CT, spine — Sagittal slice 389/768 — scan covers 9 annotated vertebrae
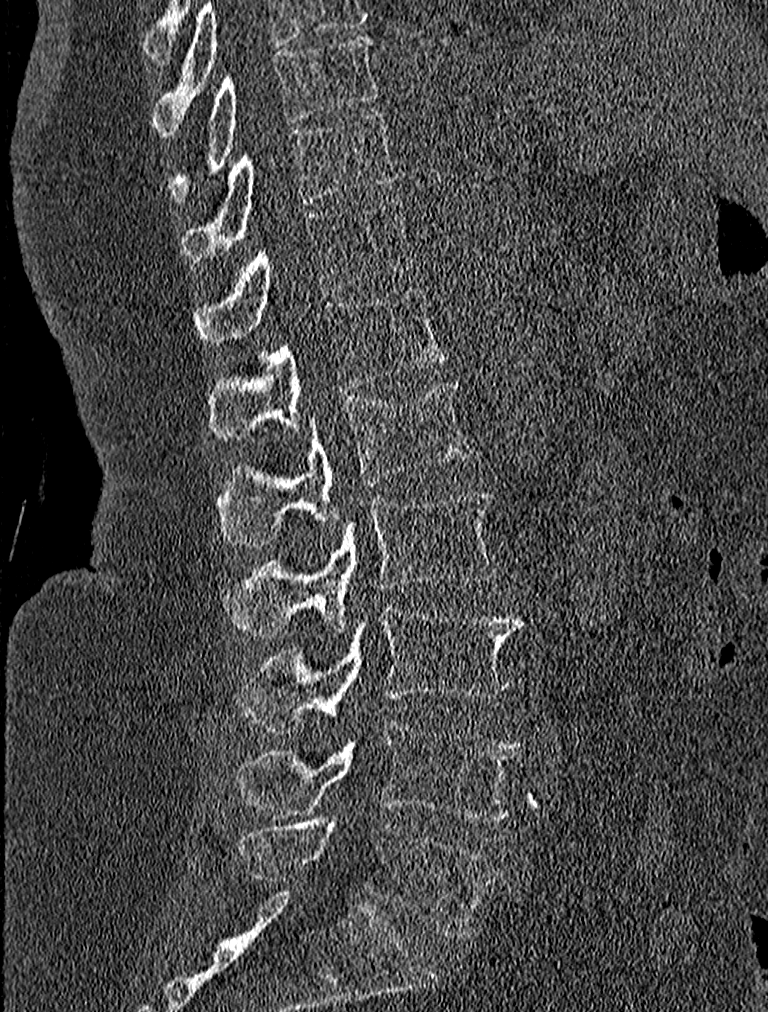

<vertebrae><v name="T9" x1="168" y1="33" x2="377" y2="198"/><v name="T10" x1="182" y1="111" x2="397" y2="262"/><v name="T11" x1="195" y1="199" x2="417" y2="348"/><v name="T12" x1="209" y1="288" x2="448" y2="439"/><v name="L1" x1="215" y1="382" x2="471" y2="546"/><v name="L2" x1="225" y1="490" x2="499" y2="637"/><v name="L3" x1="236" y1="600" x2="522" y2="731"/><v name="L4" x1="232" y1="722" x2="520" y2="820"/><v name="L5" x1="236" y1="821" x2="499" y2="938"/></vertebrae>